CT, spine · sagittal reformat · 194x636 px · 194 mm image width · scan covers 18 annotated vertebrae
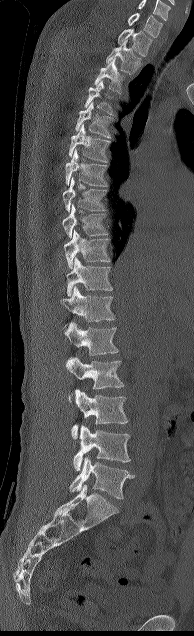 Boxes are (x1, y1, x2, y2) in pixels.
In this scan, the topmost labeled vertebra is C7 and the lowest is L5.
Vertebra bounding boxes:
- C7: (127, 13, 162, 37)
- T1: (118, 28, 152, 56)
- T2: (106, 40, 140, 74)
- T3: (94, 57, 124, 93)
- T4: (85, 80, 118, 114)
- T5: (75, 102, 112, 138)
- T6: (68, 123, 110, 162)
- T7: (65, 149, 108, 186)
- T8: (62, 177, 106, 211)
- T9: (62, 204, 108, 237)
- T10: (64, 228, 110, 268)
- T11: (66, 257, 113, 296)
- T12: (60, 286, 115, 331)
- L1: (65, 321, 118, 355)
- L2: (65, 357, 124, 389)
- L3: (71, 389, 128, 439)
- L4: (73, 425, 130, 470)
- L5: (69, 457, 134, 499)